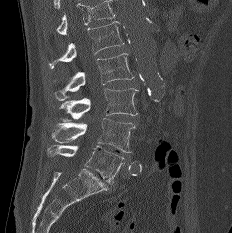
Spine CT · sagittal reformat · 232 mm across the image · 232x233 px

Box edges are left/top/right/bottom in pixels.
Where the top of the scan cuts through a vertebra, that vertebra gets no label or box.
L5: left=47, top=145, right=125, bottom=184
L4: left=52, top=118, right=136, bottom=152
L3: left=59, top=88, right=138, bottom=121
L2: left=54, top=53, right=133, bottom=100
L1: left=49, top=21, right=124, bottom=68